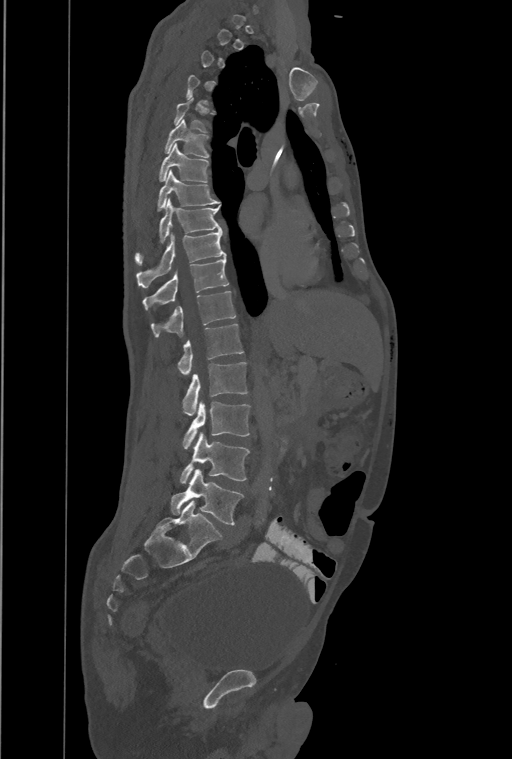

Spine computed tomography. 461 mm across the image. sagittal view

Boxes: x1 y1 x2 y2 (pixel coords, space-separated).
Not every vertebra on this slice has a box: a vertebra is boxed only from the first to the last slice where its cross-section is at least a third of its largest, and this slice is outside that range for at least one of them.
The highest labeled vertebra in this scan is T1; the lowest is L4.
The labels name an extra thoracic vertebra here, T13, which comes after T12 and before L1.
Vertebra bounding boxes:
- T6: 165 119 208 157
- T7: 160 144 207 181
- T8: 157 170 219 209
- T9: 135 198 221 264
- T10: 136 230 226 288
- T11: 143 257 228 310
- T12: 151 291 235 337
- T13: 177 324 243 374
- L1: 183 362 247 415
- L2: 183 401 251 449
- L3: 181 432 249 484
- L4: 171 469 244 525